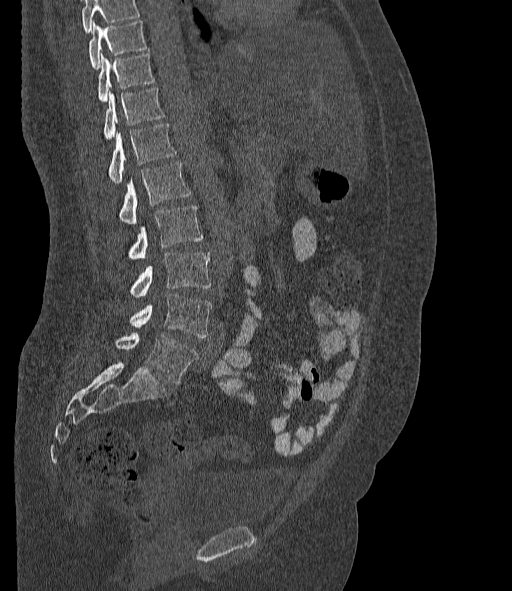

CT. sagittal view

Boxes are given in columns x1, y1, x2, y2, the pixel coordinates of their top-left and bottom-right corners.
No box is given to a vertebra that the top edge of the scan cuts off.
These labels give the spine a sixth lumbar vertebra, L6, below L5.
| vertebra | x1 | y1 | x2 | y2 |
|---|---|---|---|---|
| T10 | 89 | 20 | 147 | 68 |
| T11 | 98 | 53 | 154 | 102 |
| T12 | 103 | 88 | 165 | 140 |
| L1 | 108 | 124 | 175 | 182 |
| L2 | 119 | 162 | 190 | 224 |
| L3 | 129 | 206 | 203 | 258 |
| L4 | 130 | 253 | 211 | 298 |
| L5 | 130 | 293 | 211 | 337 |
| L6 | 115 | 333 | 197 | 383 |